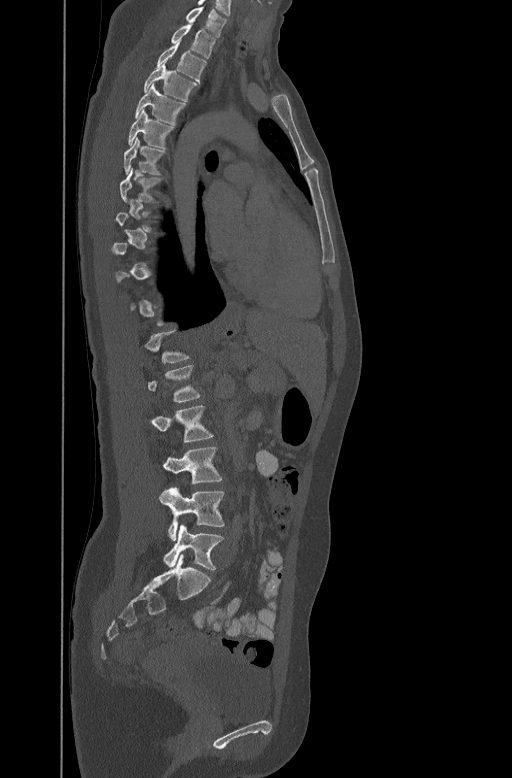

Spine computed tomography; sagittal view; image 447 mm wide; 512x778 px. Boxes: x1:y1:x2:y2 in pixels.
A vertebra is boxed only from the first to the last slice where its cross-section is at least a third of its largest; slices outside that range leave it without a box.
C7: 185:6:228:36
T1: 171:24:215:58
T2: 156:44:206:81
T3: 143:64:198:100
T4: 135:84:186:124
T5: 127:109:174:147
T6: 124:136:167:174
T7: 120:167:163:203
T12: 144:328:190:362
L1: 147:364:202:402
L2: 144:405:213:443
L3: 161:446:222:485
L4: 159:487:225:540
L5: 163:525:223:570